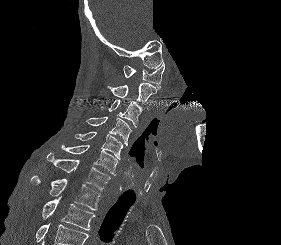 Computed tomography of the spine; sagittal reformat; a portion of the image is blanked out (constant pixel value)
No box is given to a vertebra that the bottom edge of the scan cuts off.
<vertebrae><v name="C1" x1="123" y1="62" x2="164" y2="89"/><v name="C2" x1="107" y1="83" x2="156" y2="108"/><v name="C3" x1="107" y1="100" x2="142" y2="127"/><v name="C4" x1="85" y1="117" x2="131" y2="145"/><v name="C5" x1="75" y1="131" x2="123" y2="159"/><v name="C6" x1="61" y1="145" x2="118" y2="175"/><v name="C7" x1="47" y1="152" x2="110" y2="190"/><v name="T1" x1="30" y1="175" x2="100" y2="210"/><v name="T2" x1="42" y1="196" x2="95" y2="230"/></vertebrae>